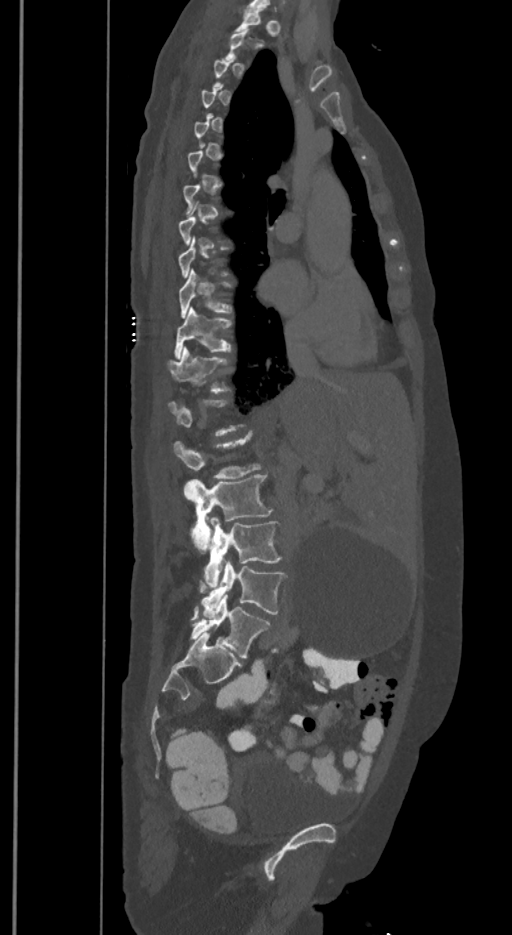 Spine CT. sagittal view. bone-window reconstruction
Each vertebra maps to its box as [x1, y1, x2, y2], the pixel coordinates of its top-left and bottom-right corners.
A vertebra is boxed only from the first to the last slice where its cross-section is at least a third of its largest; slices outside that range leave it without a box.
In these labels the spine has an L6, a sixth lumbar vertebra below L5.
{"vertebrae":{"L6":[190,594,269,657],"L5":[199,561,285,616],"L4":[203,516,281,588],"L3":[184,474,272,553],"L2":[174,432,261,477],"T12":[168,346,228,393],"T11":[174,307,231,357],"T10":[178,270,231,318]}}